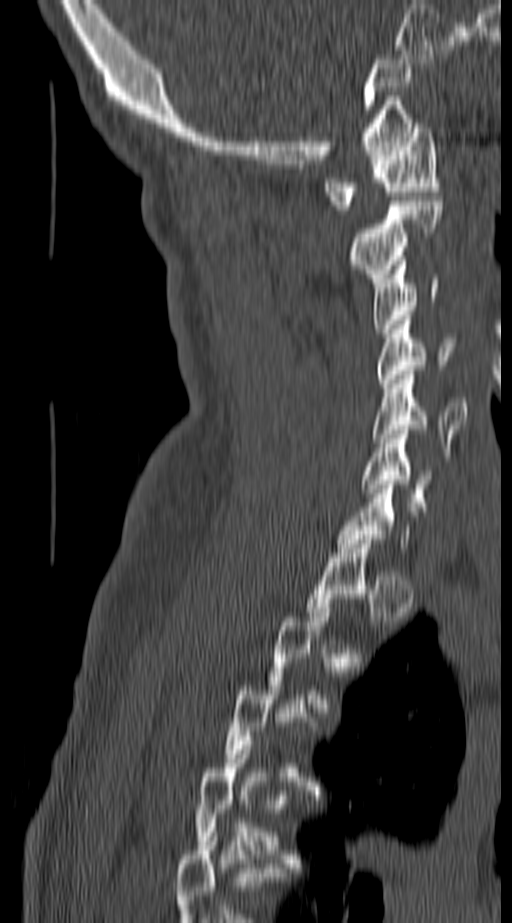
CT, spine — sagittal view — Bone window (WL 400, WW 1800)

A vertebra is boxed only from the first to the last slice where its cross-section is at least a third of its largest; slices outside that range leave it without a box.
<vertebrae><v name="C6" x1="361" y1="430" x2="434" y2="506"/><v name="C5" x1="372" y1="370" x2="466" y2="452"/><v name="C4" x1="378" y1="320" x2="454" y2="388"/><v name="C3" x1="371" y1="261" x2="437" y2="333"/><v name="C2" x1="349" y1="201" x2="443" y2="287"/><v name="C1" x1="323" y1="123" x2="439" y2="214"/></vertebrae>